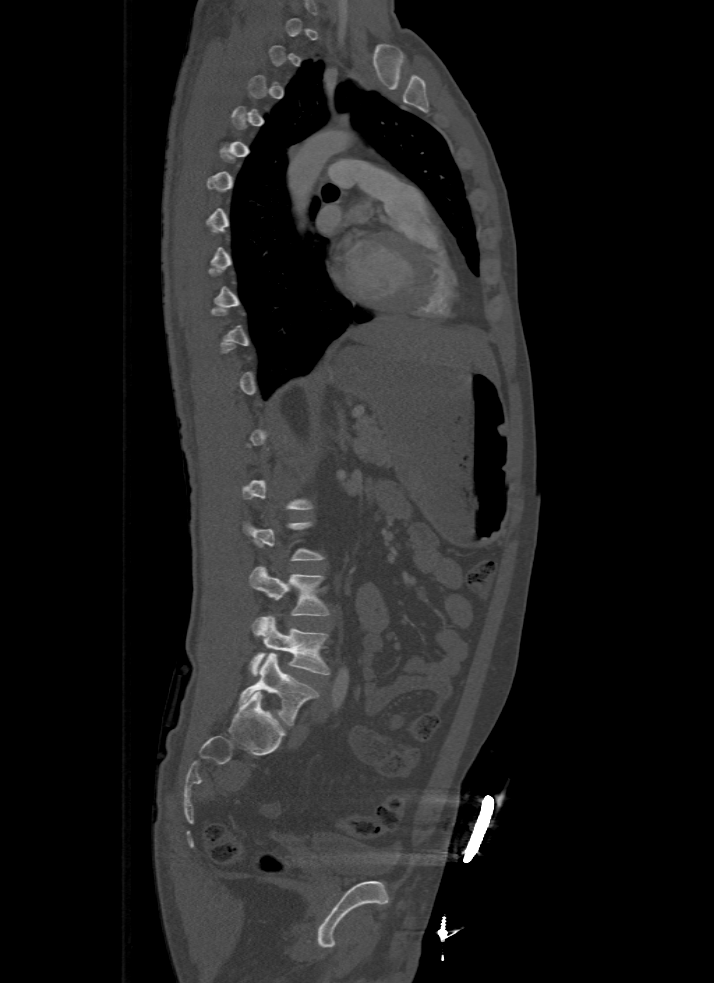

Spine CT — sagittal view

Boxes are (x1, y1, x2, y2) in pixels.
Each vertebra is boxed only on the slices from the first to the last where its cross-section reaches a third of its largest, so a slice outside that range leaves it unboxed.
Vertebra bounding boxes:
- L5: (239, 652, 318, 725)
- L4: (250, 616, 330, 675)
- L3: (250, 566, 331, 615)